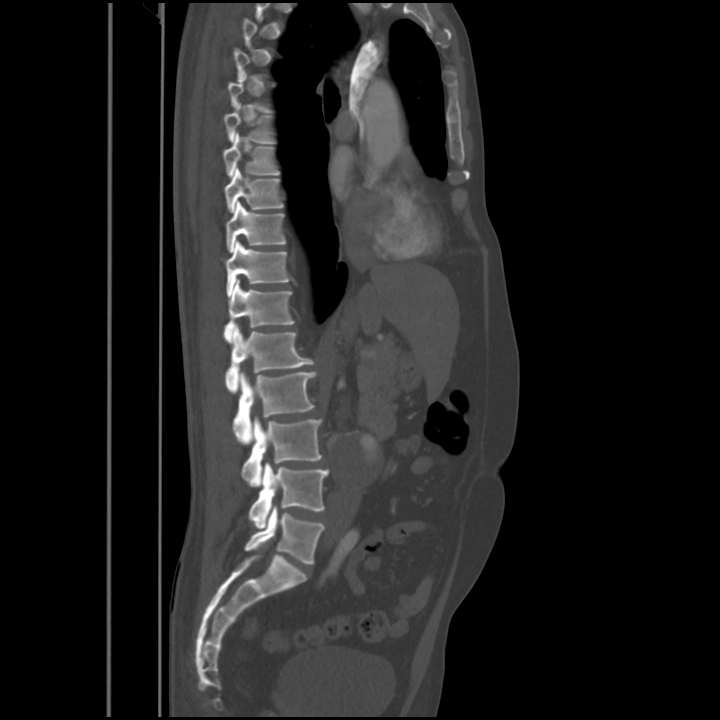
CT spine — sagittal view — bone window
Not every vertebra on this slice has a box: a vertebra is boxed only from the first to the last slice where its cross-section is at least a third of its largest, and this slice is outside that range for at least one of them.
<vertebrae><v name="T7" x1="224" y1="104" x2="276" y2="143"/><v name="T8" x1="223" y1="133" x2="279" y2="176"/><v name="T9" x1="224" y1="168" x2="283" y2="212"/><v name="T10" x1="227" y1="201" x2="286" y2="252"/><v name="T11" x1="225" y1="241" x2="289" y2="295"/><v name="T12" x1="224" y1="279" x2="295" y2="342"/><v name="L1" x1="225" y1="326" x2="314" y2="393"/><v name="L2" x1="233" y1="372" x2="315" y2="443"/><v name="L3" x1="242" y1="418" x2="321" y2="486"/><v name="L4" x1="248" y1="463" x2="329" y2="529"/><v name="L5" x1="244" y1="507" x2="324" y2="563"/></vertebrae>